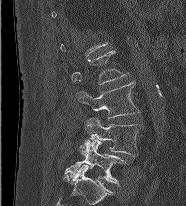
Computed tomography of the spine; sagittal view; 186x206 px; image 186 mm wide. Boxes are given in columns x1, y1, x2, y2, the pixel coordinates of their top-left and bottom-right corners.
A vertebra gets a box only on the slices from the first to the last where its cross-section is at least a third of its largest; on a slice outside that range it gets none.
| vertebra | x1 | y1 | x2 | y2 |
|---|---|---|---|---|
| L2 | 71 | 50 | 128 | 84 |
| L3 | 76 | 81 | 139 | 118 |
| L4 | 82 | 118 | 144 | 156 |
| L5 | 64 | 138 | 126 | 184 |